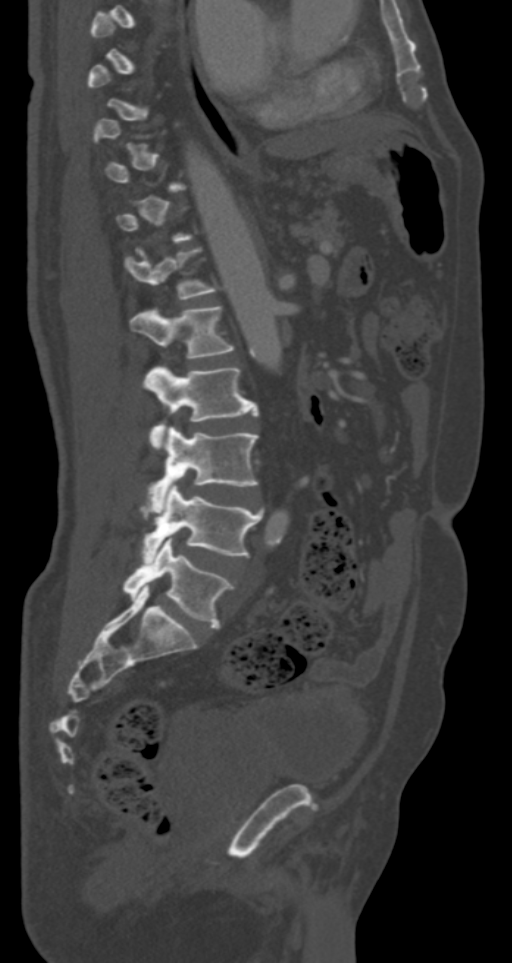 CT. sagittal reformat. W/L 1800/400 HU
Boxes are (x1, y1, x2, y2) in pixels.
A vertebra is boxed only from the first to the last slice where its cross-section is at least a third of its largest; slices outside that range leave it without a box.
T12: (124, 247, 218, 299)
L1: (130, 306, 234, 359)
L2: (144, 366, 257, 450)
L3: (148, 428, 259, 507)
L4: (142, 483, 263, 561)
L5: (123, 537, 234, 628)